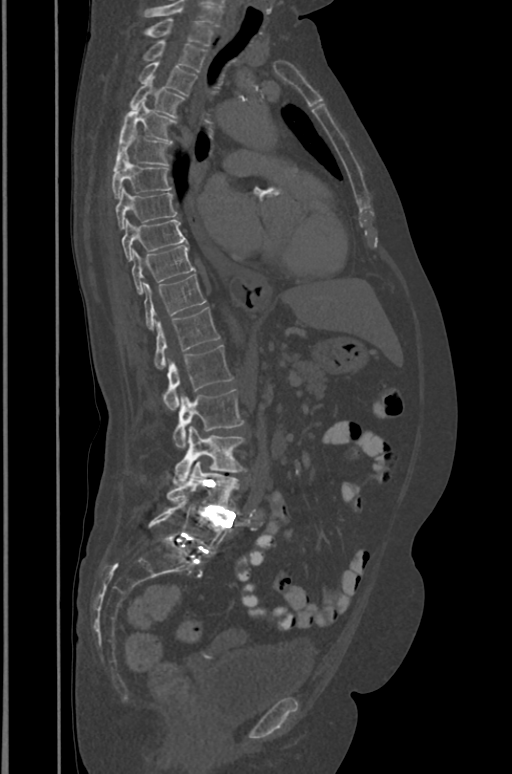 Spine computed tomography — sagittal view — 512x774 px. Each box given as x1,y1,x2,y2.
Labels in this scan begin with T1 at the top and end with L5 at the bottom.
L5: x1=148, y1=500, x2=230, y2=554
L4: x1=166, y1=460, x2=239, y2=509
L3: x1=174, y1=427, x2=245, y2=484
L2: x1=173, y1=389, x2=244, y2=448
L1: x1=162, y1=345, x2=232, y2=410
T12: x1=154, y1=307, x2=219, y2=368
T11: x1=144, y1=274, x2=206, y2=328
T10: x1=132, y1=245, x2=194, y2=294
T9: x1=122, y1=219, x2=185, y2=260
T8: x1=115, y1=188, x2=177, y2=231
T7: x1=111, y1=156, x2=172, y2=199
T6: x1=113, y1=132, x2=171, y2=169
T5: x1=119, y1=102, x2=176, y2=143
T4: x1=130, y1=78, x2=185, y2=117
T3: x1=137, y1=62, x2=197, y2=95
T2: x1=141, y1=40, x2=206, y2=71
T1: x1=143, y1=18, x2=212, y2=45